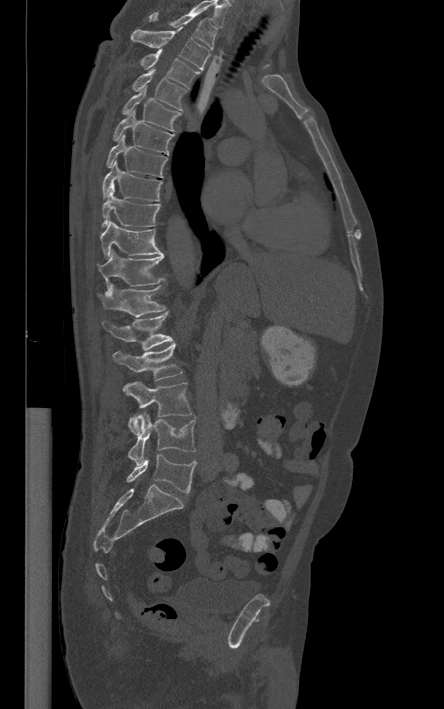
CT, spine; the image is 444 mm wide; sagittal view; 444x709 px. Boxes are given in columns x1, y1, x2, y2, the pixel coordinates of their top-left and bottom-right corners.
The highest labeled vertebra in this scan is T1; the lowest is L5.
| vertebra | x1 | y1 | x2 | y2 |
|---|---|---|---|---|
| L5 | 126 | 454 | 196 | 492 |
| L4 | 128 | 412 | 195 | 464 |
| L3 | 123 | 381 | 192 | 434 |
| L2 | 112 | 343 | 182 | 380 |
| L1 | 102 | 312 | 173 | 350 |
| T12 | 97 | 283 | 165 | 317 |
| T11 | 97 | 251 | 165 | 288 |
| T10 | 100 | 220 | 164 | 257 |
| T9 | 102 | 190 | 160 | 227 |
| T8 | 103 | 160 | 161 | 200 |
| T7 | 107 | 130 | 167 | 177 |
| T6 | 113 | 110 | 174 | 154 |
| T5 | 121 | 87 | 181 | 131 |
| T4 | 132 | 69 | 186 | 110 |
| T3 | 141 | 49 | 198 | 87 |
| T2 | 130 | 27 | 209 | 69 |
| T1 | 149 | 11 | 216 | 49 |